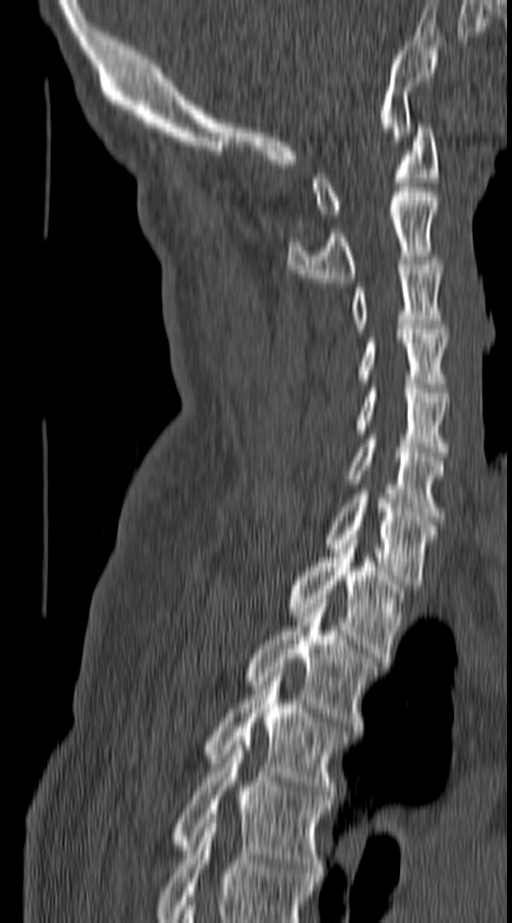

CT, spine — sagittal view
Boxes: x1 y1 x2 y2 (pixel coords, space-separated). Labels in this scan begin with C1 at the top and end with T4 at the bottom. Vertebrae labeled: C1 at 312 123 439 218, C2 at 287 192 439 282, C3 at 352 261 443 328, C4 at 360 329 447 388, C5 at 356 389 447 456, C6 at 349 434 443 520, C7 at 327 494 436 584, T1 at 287 539 403 662, T2 at 246 603 377 730, T3 at 206 672 344 799, T4 at 173 741 329 877.